CT spine — 187 mm image width — sagittal view — W/L 1800/400 HU — 187x269 px
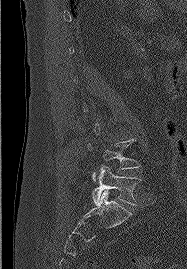 Coordinates as <box>x1,y1,x2,y2</box>.
A vertebra gets a box only on the slices from the first to the last where its cross-section is at least a third of its largest; on a slice outside that range it gets none.
Vertebra bounding boxes:
- L4: <box>87,139,139,181</box>
- L5: <box>92,165,140,204</box>